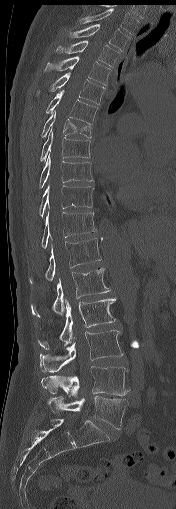 CT spine — sagittal reformat
Boxes: x1 y1 x2 y2 (pixel coords, space-separated). Vertebrae labeled: T1 at 80 8 140 34, T2 at 68 24 130 51, T3 at 55 40 118 66, T4 at 44 56 110 85, T5 at 37 72 105 104, T6 at 46 90 98 124, T7 at 41 110 92 138, T8 at 40 127 90 161, T9 at 39 154 94 188, T10 at 39 185 92 217, T11 at 41 212 96 248, T12 at 30 238 101 283, L1 at 31 268 110 316, L2 at 38 298 115 349, L3 at 40 330 123 372, L4 at 41 366 130 397, L5 at 46 396 127 429.